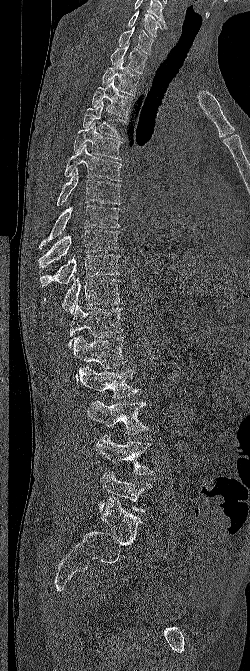

CT, spine — sagittal view — W/L 1800/400 HU

Boxes are (x1, y1, x2, y2) in pixels.
Labels in this scan begin with C6 at the top and end with L5 at the bottom.
C6: (127, 10, 167, 36)
C7: (118, 26, 154, 54)
T1: (110, 43, 147, 74)
T2: (101, 59, 139, 95)
T3: (92, 79, 132, 118)
T4: (82, 101, 125, 139)
T5: (74, 122, 122, 160)
T6: (64, 143, 122, 181)
T7: (57, 168, 120, 205)
T8: (39, 205, 120, 248)
T9: (38, 230, 120, 268)
T10: (40, 254, 120, 286)
T11: (44, 277, 122, 314)
T12: (68, 303, 124, 347)
L1: (73, 335, 127, 382)
L2: (78, 365, 140, 398)
L3: (86, 400, 148, 434)
L4: (96, 434, 154, 475)
L5: (98, 471, 152, 513)